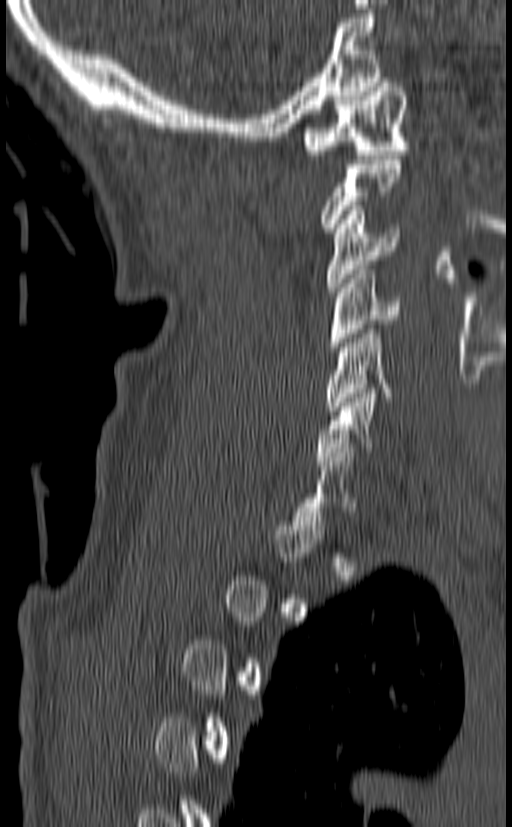
Spine computed tomography — the image spans 140 mm across — sagittal view — 512x827 px

Each box is [x1, y1, x2, y2] in pixels: top-left corner, then bottom-right corner.
Each vertebra is boxed only on the slices from the first to the last where its cross-section reaches a third of its largest, so a slice outside that range leaves it unboxed.
{"vertebrae":{"C1":[304,78,409,159],"C3":[326,206,401,292],"C4":[330,265,402,351],"C5":[325,325,391,415],"C6":[315,384,376,465]}}